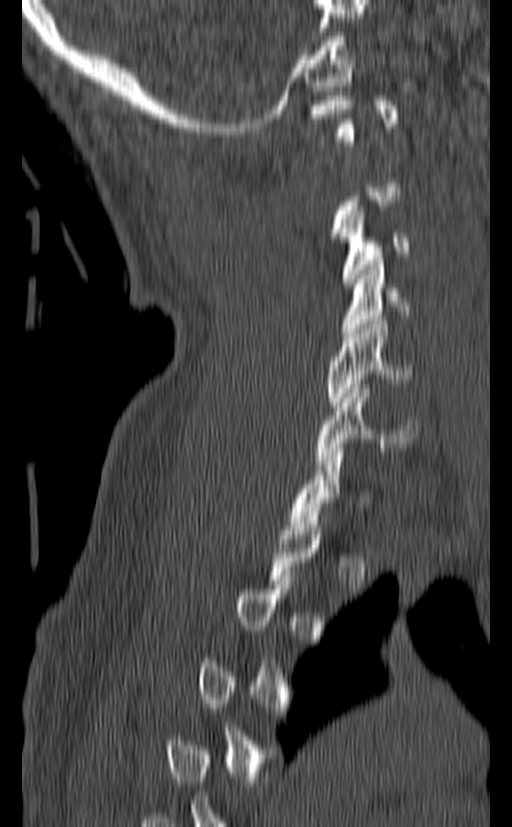

Computed tomography of the spine; sagittal view; bone-window reconstruction; 512x827 px
Boxes: x1 y1 x2 y2 (pixel coords, space-separated).
A vertebra gets a box only on the slices from the first to the last where its cross-section is at least a third of its largest; on a slice outside that range it gets none.
C3: 339 210 410 287
C4: 341 261 408 333
C5: 327 320 412 406
C6: 316 384 417 465